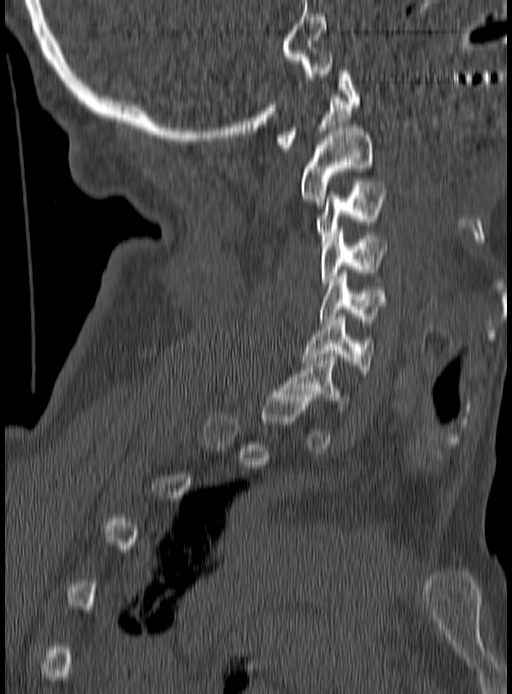
CT spine; sagittal view; 512x694 px

Columns x1, y1, x2, y2 give each box's top-left and bottom-right pixels.
Each vertebra is boxed only on the slices from the first to the last where its cross-section reaches a third of its largest, so a slice outside that range leaves it unboxed.
| vertebra | x1 | y1 | x2 | y2 |
|---|---|---|---|---|
| C1 | 278 | 67 | 360 | 151 |
| C2 | 300 | 128 | 372 | 204 |
| C3 | 316 | 182 | 386 | 242 |
| C4 | 322 | 229 | 387 | 289 |
| C5 | 319 | 273 | 385 | 322 |
| C6 | 303 | 317 | 374 | 376 |
| C7 | 279 | 354 | 345 | 413 |